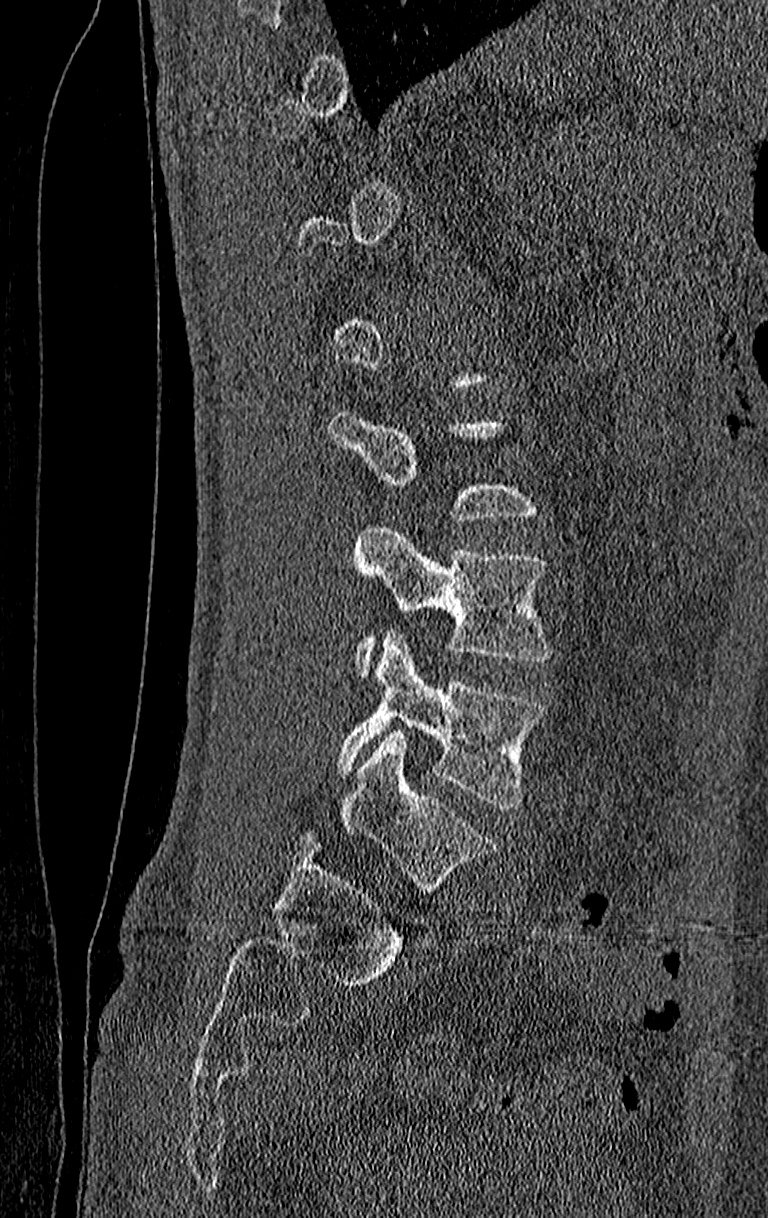

CT, spine. sagittal view. Boxes: x1:y1:x2:y2 in pixels.
A vertebra gets a box only on the slices from the first to the last where its cross-section is at least a third of its largest; on a slice outside that range it gets none.
Labels in this scan begin with T11 at the top and end with L4 at the bottom.
L4: 335:630:546:809
L3: 353:523:550:677